CT spine; sagittal view; W/L 1800/400 HU
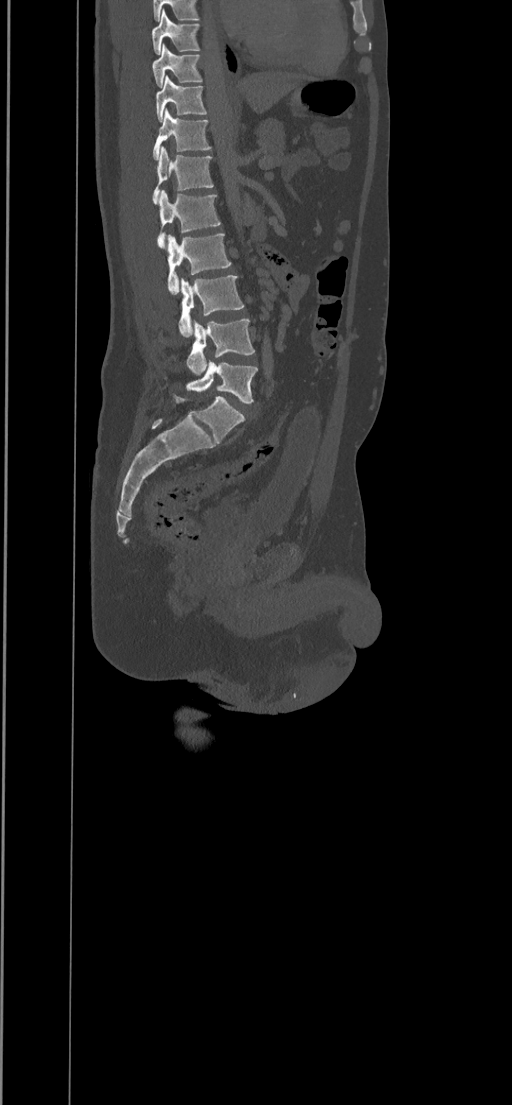

Boxes: x1 y1 x2 y2 (pixel coords, space-separated).
T8: 152 10 199 54
T9: 152 44 202 87
T10: 156 75 207 122
T11: 153 108 211 160
T12: 152 147 214 204
L1: 157 190 221 247
L2: 167 234 231 294
L3: 178 275 244 337
L4: 187 319 255 375
L5: 186 360 257 402